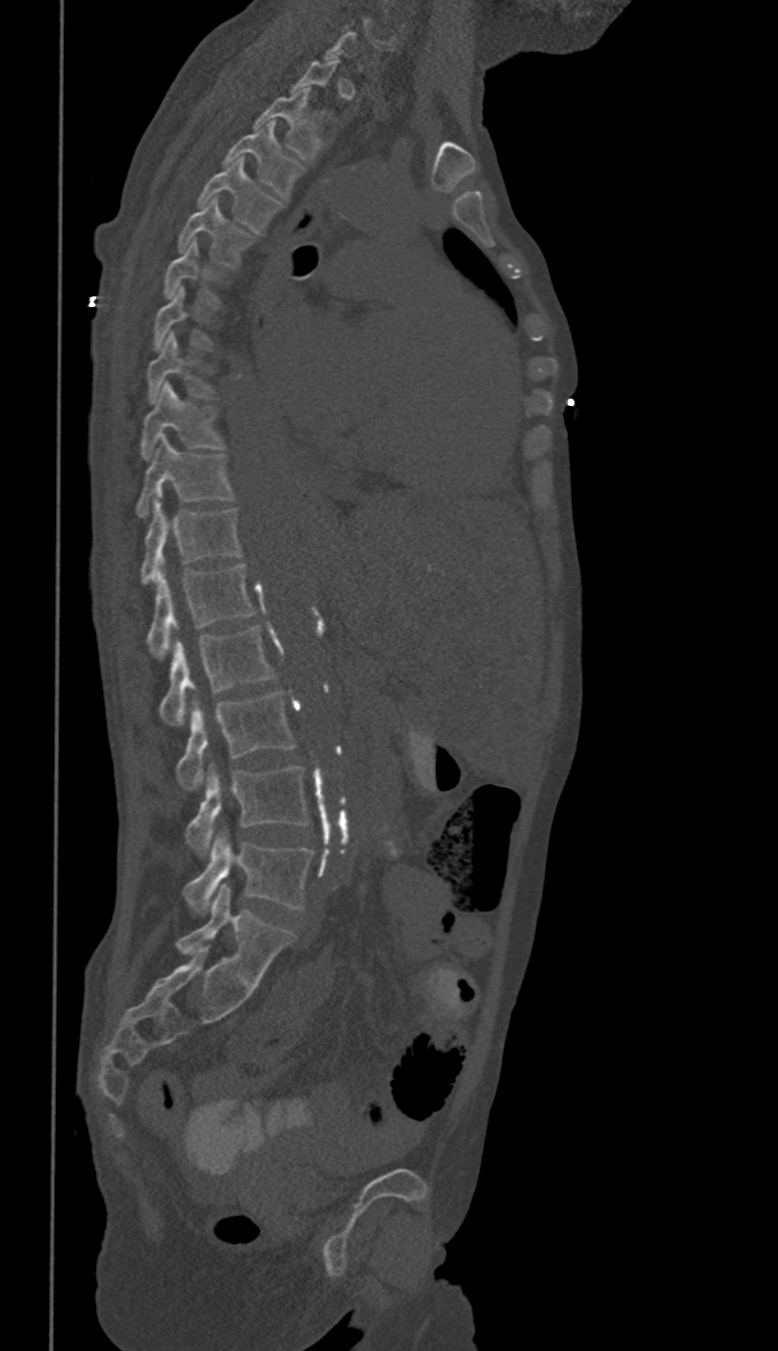
Spine CT — sagittal view — 350 mm image width — bone-window reconstruction — 778x1351 px. Boxes: x1:y1:x2:y2 in pixels.
Each vertebra is boxed only on the slices from the first to the last where its cross-section reaches a third of its largest, so a slice outside that range leaves it unboxed.
These labels give this spine no T12: after T11 the next vertebra is L1.
T2: 254:87:323:162
T3: 225:120:303:199
T4: 197:158:282:233
T5: 178:198:254:268
T6: 164:240:221:308
T7: 153:285:212:348
T8: 146:332:216:402
T9: 140:383:225:459
T10: 135:436:234:517
T11: 140:496:241:584
L1: 146:563:254:657
L2: 158:625:274:726
L3: 175:692:294:791
L4: 187:767:307:855
L5: 184:832:313:913